Spine CT. sagittal plane, index 260. bone-window reconstruction. image width 350 mm. scan covers 6 annotated vertebrae
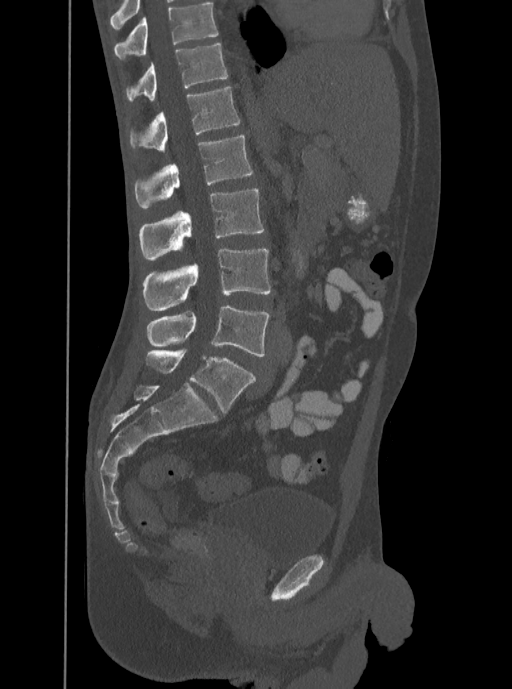 Coordinates as <box>x1,y1,x2,y2</box>. This scan's labels start at T12 at the top and end at L5 at the bottom. 6 vertebrae labeled — T12 at <box>127,43,227,100</box>; L1 at <box>130,86,240,152</box>; L2 at <box>134,134,252,208</box>; L3 at <box>139,188,264,260</box>; L4 at <box>143,249,271,311</box>; L5 at <box>147,305,269,357</box>.